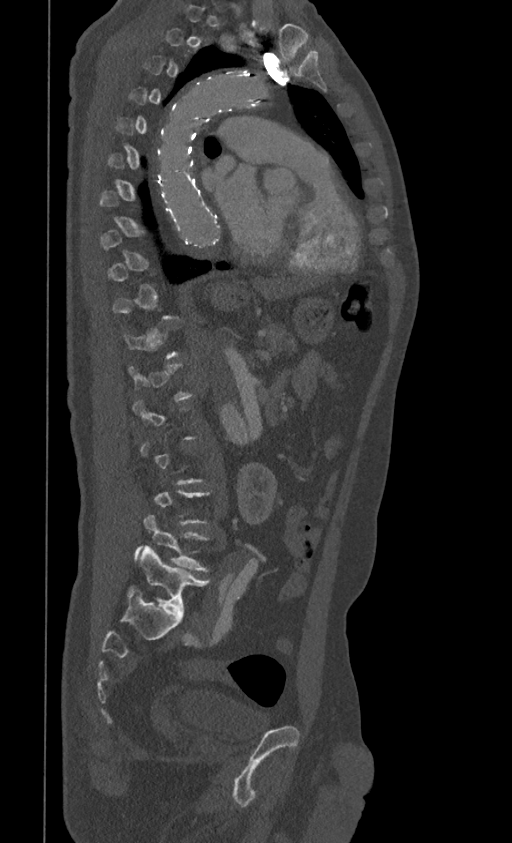 CT, spine · sagittal view
Bounding boxes as [x1, y1, x2, y2] in pixel coordinates.
Not every vertebra on this slice has a box: a vertebra is boxed only from the first to the last slice where its cross-section is at least a third of its largest, and this slice is outside that range for at least one of them.
L4: [135, 515, 208, 572]
L5: [128, 545, 208, 615]